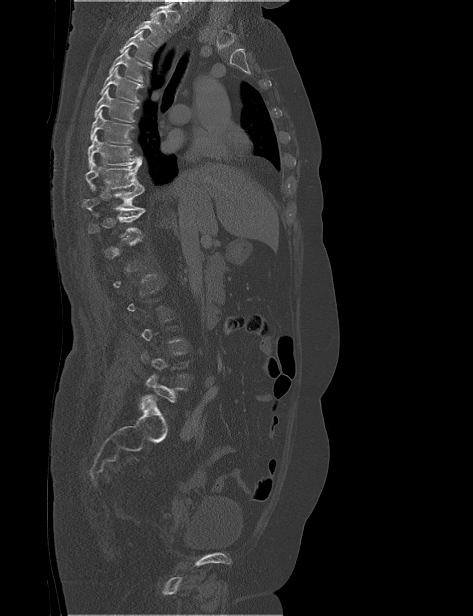 CT spine; sagittal view; bone-window reconstruction; 473 mm across the image; 473x616 px. Boxes are (x1, y1, x2, y2) in pixels.
A vertebra is boxed only from the first to the last slice where its cross-section is at least a third of its largest; slices outside that range leave it without a box.
Where the top of the scan cuts through a vertebra, that vertebra gets no label or box.
L5: (141, 374, 186, 402)
T11: (88, 211, 145, 239)
T10: (82, 186, 145, 211)
T9: (85, 160, 144, 190)
T8: (87, 135, 141, 167)
T7: (90, 110, 135, 143)
T6: (94, 87, 139, 122)
T5: (99, 66, 144, 102)
T4: (109, 48, 151, 82)
T3: (119, 30, 152, 65)
T2: (134, 15, 166, 47)